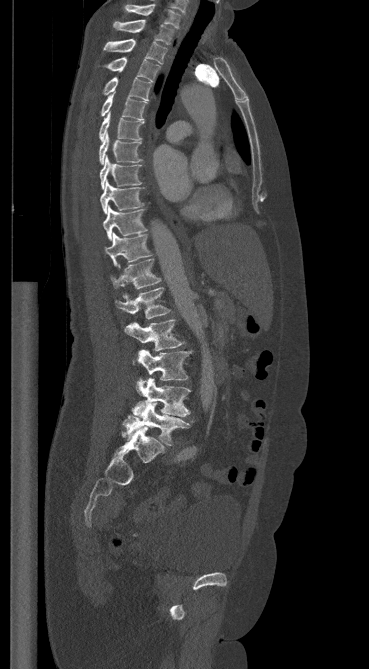
Spine CT · sagittal view
Box edges are left/top/right/bottom in pixels.
| vertebra | x1 | y1 | x2 | y2 |
|---|---|---|---|---|
| C7 | 125 | 4 | 180 | 28 |
| T1 | 113 | 19 | 173 | 44 |
| T2 | 104 | 39 | 166 | 64 |
| T3 | 106 | 57 | 159 | 81 |
| T4 | 103 | 77 | 150 | 100 |
| T5 | 101 | 92 | 147 | 120 |
| T6 | 99 | 113 | 144 | 141 |
| T7 | 99 | 133 | 142 | 164 |
| T8 | 100 | 156 | 141 | 189 |
| T9 | 100 | 180 | 143 | 213 |
| T10 | 103 | 206 | 146 | 240 |
| T11 | 104 | 233 | 151 | 266 |
| T12 | 111 | 259 | 161 | 288 |
| L1 | 115 | 287 | 170 | 319 |
| L2 | 124 | 319 | 183 | 350 |
| L3 | 136 | 349 | 191 | 390 |
| L4 | 132 | 378 | 189 | 416 |
| L5 | 123 | 403 | 194 | 445 |